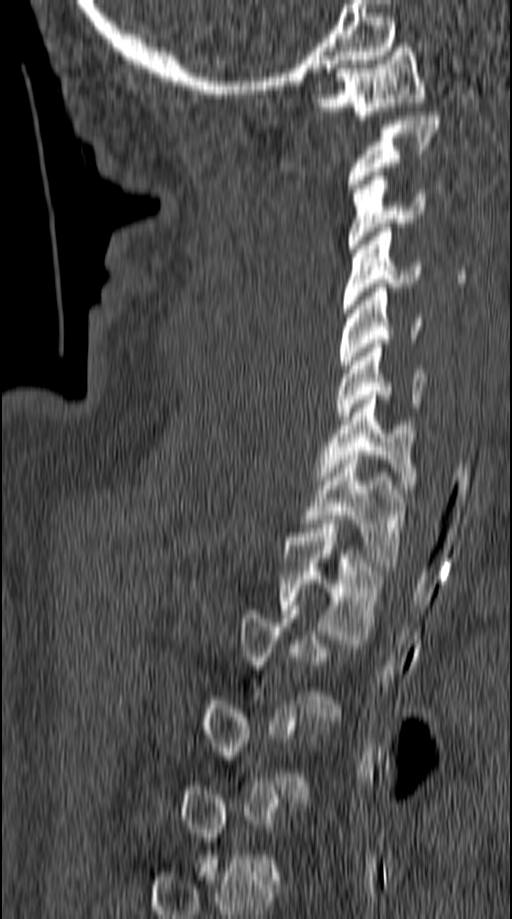 Computed tomography of the spine; image 149 mm wide; sagittal reformat
A vertebra gets a box only on the slices from the first to the last where its cross-section is at least a third of its largest; on a slice outside that range it gets none.
<vertebrae><v name="C1" x1="311" y1="43" x2="425" y2="119"/><v name="C2" x1="348" y1="112" x2="440" y2="192"/><v name="C3" x1="348" y1="172" x2="426" y2="252"/><v name="C4" x1="343" y1="228" x2="421" y2="313"/><v name="C5" x1="338" y1="283" x2="423" y2="368"/><v name="C6" x1="336" y1="344" x2="426" y2="420"/><v name="C7" x1="317" y1="391" x2="418" y2="489"/><v name="T1" x1="302" y1="455" x2="406" y2="566"/><v name="T2" x1="280" y1="524" x2="385" y2="643"/></vertebrae>